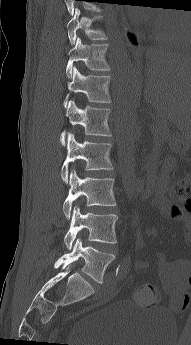

CT, spine — sagittal view — Bone window (WL 400, WW 1800)
Boxes are (x1, y1, x2, y2) in pixels.
Vertebra bounding boxes:
- T10: (66, 7, 107, 45)
- T11: (66, 37, 110, 78)
- T12: (63, 66, 111, 107)
- L1: (60, 100, 111, 146)
- L2: (61, 133, 113, 183)
- L3: (63, 170, 116, 219)
- L4: (64, 206, 119, 250)
- L5: (54, 238, 115, 283)